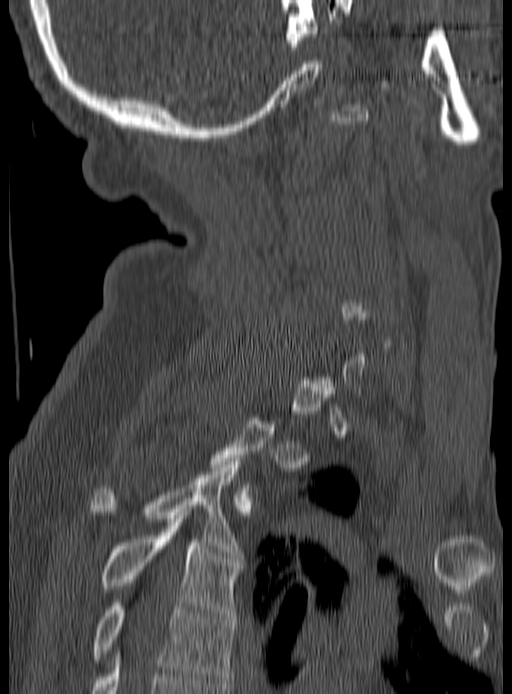 CT spine; sagittal view; W/L 1800/400 HU
Coordinates as <box>x1,y1,x2,y2</box>.
Each vertebra is boxed only on the slices from the first to the last where its cross-section reaches a third of its largest, so a slice outside that range leaves it unboxed.
Vertebra bounding boxes:
- T3: <box>92,458,242,558</box>
- T4: <box>103,519,242,619</box>
- T5: <box>92,603,234,686</box>